Spine computed tomography — sagittal reformat — bone-window reconstruction — 492x640 px — scan covers 8 annotated vertebrae
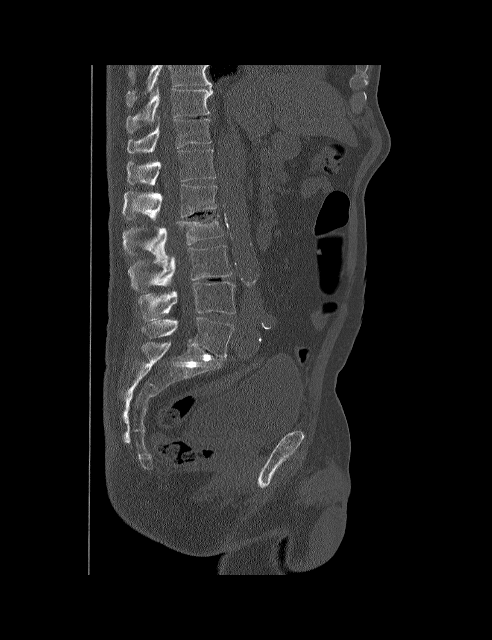

Bounding boxes as [x1, y1, x2, y2] in pixel coordinates.
The highest labeled vertebra in this scan is T10; the lowest is L5.
Vertebra bounding boxes:
- T10: [126, 89, 213, 134]
- T11: [127, 118, 211, 153]
- T12: [127, 149, 215, 185]
- L1: [122, 184, 216, 220]
- L2: [122, 215, 222, 264]
- L3: [128, 245, 232, 292]
- L4: [139, 281, 236, 320]
- L5: [143, 317, 233, 357]